CT. sagittal plane, index 235. 409 mm wide
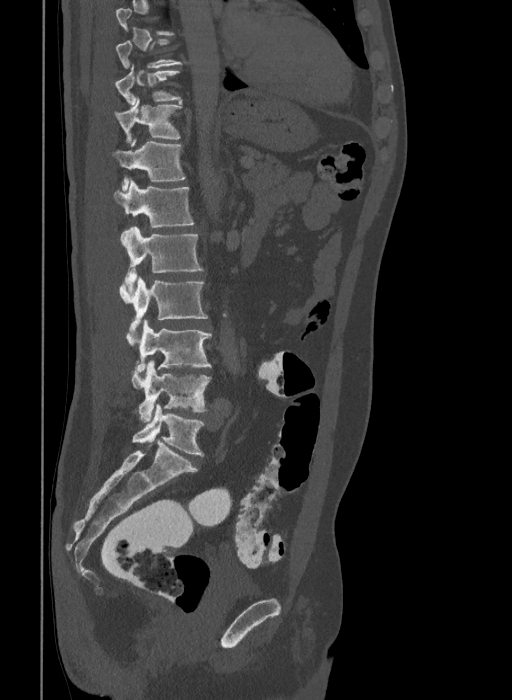 Each box given as x1,y1,x2,y2.
Labels in this scan begin with T9 at the top and end with L6 at the bottom.
The labels name a sixth lumbar vertebra for this spine: L6, after L5.
Vertebra bounding boxes:
- T9: x1=116, y1=38, x2=184, y2=68
- T10: x1=115, y1=65, x2=182, y2=105
- T11: x1=115, y1=98, x2=182, y2=143
- T12: x1=112, y1=139, x2=185, y2=191
- L1: x1=115, y1=180, x2=194, y2=227
- L2: x1=120, y1=226, x2=204, y2=292
- L3: x1=119, y1=277, x2=208, y2=332
- L4: x1=126, y1=320, x2=212, y2=372
- L5: x1=131, y1=361, x2=210, y2=421
- L6: x1=132, y1=404, x2=204, y2=456